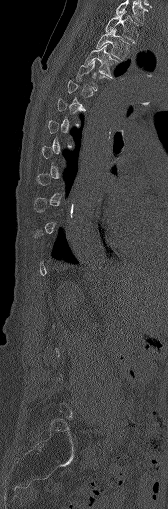
Computed tomography of the spine · sagittal reformat · bone-window reconstruction · 168x509 px

Columns x1, y1, x2, y2 give each box's top-left and bottom-right pixels.
Not every vertebra on this slice has a box: a vertebra is boxed only from the first to the last slice where its cross-section is at least a third of its largest, and this slice is outside that range for at least one of them.
| vertebra | x1 | y1 | x2 | y2 |
|---|---|---|---|---|
| C7 | 115 | 0 | 147 | 23 |
| T1 | 105 | 12 | 139 | 42 |
| T2 | 96 | 29 | 131 | 59 |
| T3 | 85 | 44 | 119 | 75 |
| T4 | 76 | 60 | 110 | 90 |